Spine CT. sagittal plane, index 242. 512x695 px
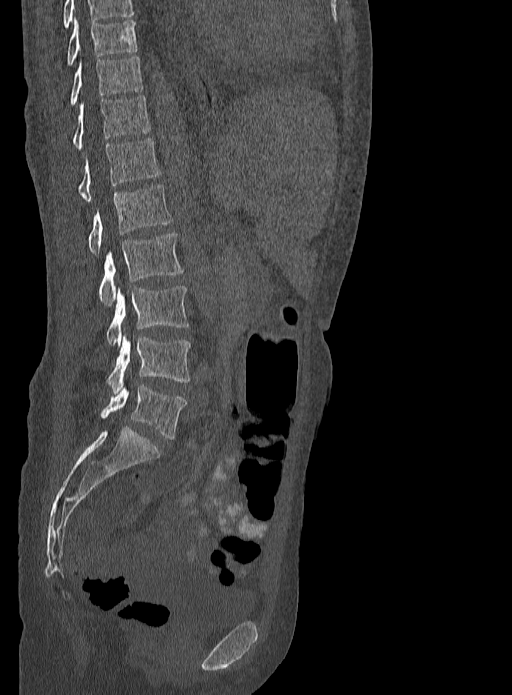
Boxes below are [x1, y1, x2, y2] in pixels.
The highest labeled vertebra in this scan is T9; the lowest is L5.
{"vertebrae":{"T9":[66,18,137,65],"T10":[70,57,142,105],"T11":[72,95,151,148],"T12":[78,138,160,202],"L1":[87,185,172,254],"L2":[98,232,183,305],"L3":[106,286,189,346],"L4":[107,334,191,393],"L5":[101,384,186,439]}}